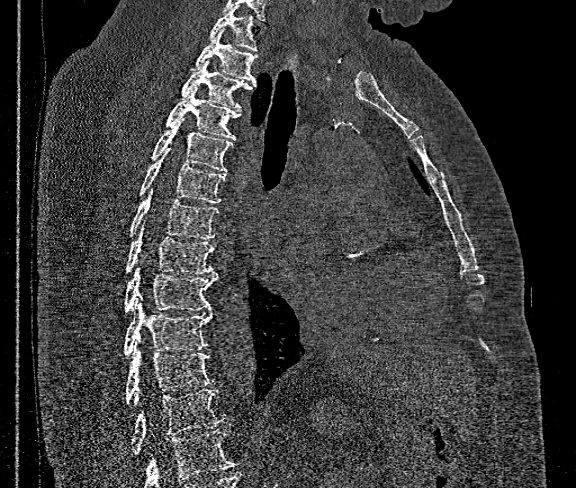
CT, spine. 360 mm wide. sagittal view. 576x488 px
Where the bottom of the scan cuts through a vertebra, that vertebra gets no label or box.
<vertebrae><v name="T1" x1="209" y1="7" x2="258" y2="51"/><v name="T2" x1="191" y1="29" x2="258" y2="83"/><v name="T3" x1="180" y1="60" x2="257" y2="110"/><v name="T4" x1="166" y1="87" x2="241" y2="140"/><v name="T5" x1="150" y1="117" x2="232" y2="172"/><v name="T6" x1="139" y1="148" x2="224" y2="203"/><v name="T7" x1="129" y1="189" x2="219" y2="239"/><v name="T8" x1="126" y1="222" x2="216" y2="273"/><v name="T9" x1="125" y1="268" x2="218" y2="311"/><v name="T10" x1="123" y1="299" x2="212" y2="356"/><v name="T11" x1="125" y1="341" x2="213" y2="404"/><v name="T12" x1="130" y1="389" x2="226" y2="455"/></vertebrae>